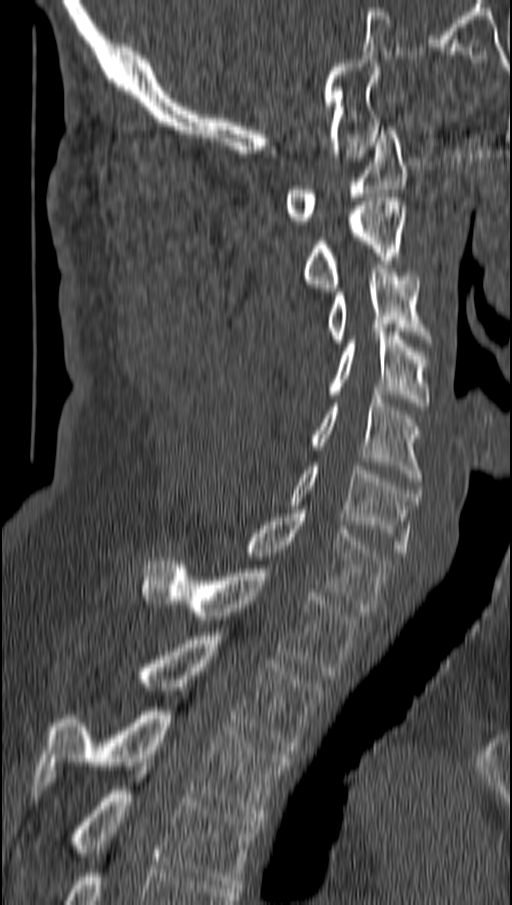
CT, spine; sagittal view; bone-window reconstruction; 512x905 px
Coordinates as <box>x1,y1,x2,y2</box>.
Vertebra bounding boxes:
- C1: <box>286,126,405,224</box>
- C2: <box>304,198,405,291</box>
- C3: <box>327,265,427,343</box>
- C4: <box>330,328,427,406</box>
- C5: <box>311,395,420,481</box>
- C6: <box>289,466,420,556</box>
- C7: <box>248,510,392,611</box>
- T1: <box>140,557,357,679</box>
- T2: <box>140,632,322,754</box>
- T3: <box>36,707,291,817</box>
- T4: <box>74,766,259,888</box>